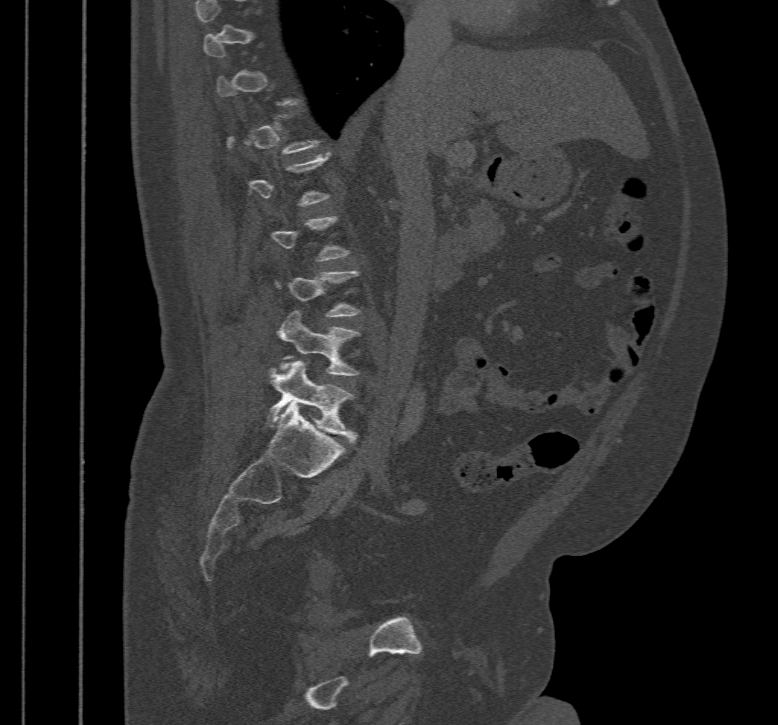

CT spine; sagittal view; Bone window (WL 400, WW 1800). Boxes: x1 y1 x2 y2 (pixel coords, space-separated).
A vertebra is boxed only from the first to the last slice where its cross-section is at least a third of its largest; slices outside that range leave it without a box.
Vertebra bounding boxes:
- L4: 278 310 358 376
- L5: 266 360 358 443